CT, spine; sagittal reformat; 556x600 px
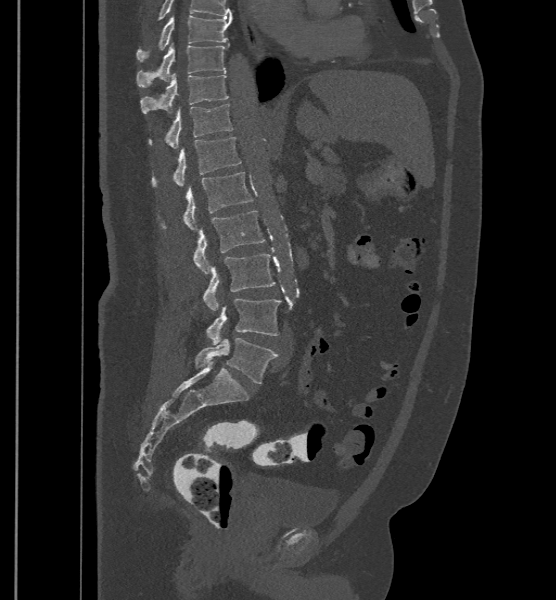

The highest labeled vertebra in this scan is T9; the lowest is L6.
These labels give the spine a sixth lumbar vertebra, L6, below L5.
<vertebrae><v name="T9" x1="137" y1="15" x2="231" y2="61"/><v name="T10" x1="137" y1="43" x2="229" y2="87"/><v name="T11" x1="140" y1="72" x2="229" y2="113"/><v name="T12" x1="148" y1="103" x2="233" y2="148"/><v name="L1" x1="151" y1="137" x2="241" y2="187"/><v name="L2" x1="161" y1="172" x2="253" y2="230"/><v name="L3" x1="192" y1="210" x2="265" y2="273"/><v name="L4" x1="202" y1="253" x2="276" y2="310"/><v name="L5" x1="205" y1="298" x2="280" y2="344"/><v name="L6" x1="195" y1="338" x2="277" y2="383"/></vertebrae>